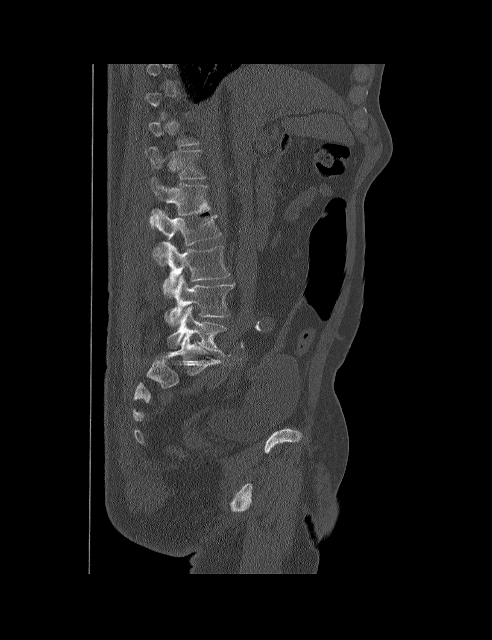 Computed tomography of the spine. sagittal view. Bone window (WL 400, WW 1800). the image is 492 mm wide. Box edges are left/top/right/bottom in pixels.
A vertebra is boxed only from the first to the last slice where its cross-section is at least a third of its largest; slices outside that range leave it without a box.
L5: left=166, top=306, right=226, bottom=354
L4: left=164, top=274, right=234, bottom=326
L3: left=161, top=242, right=230, bottom=297
L2: left=153, top=209, right=221, bottom=265
L1: left=150, top=178, right=210, bottom=228
T12: left=145, top=146, right=206, bottom=179